Spine computed tomography — the image is 471 mm wide — sagittal view
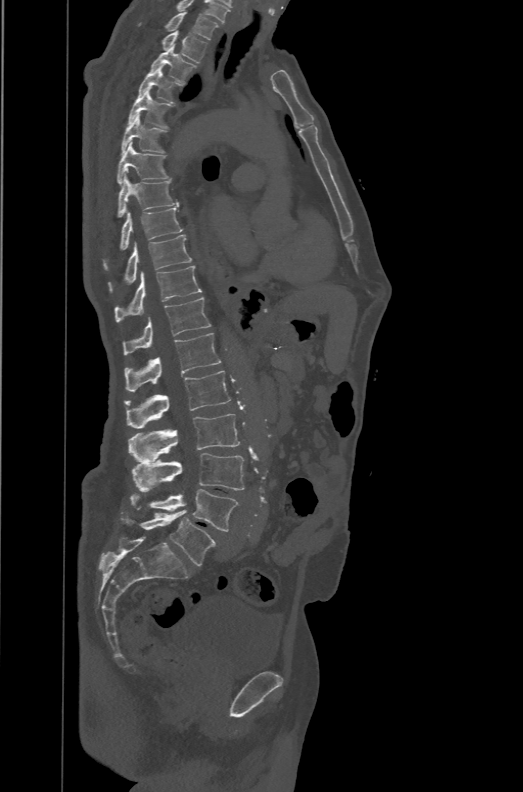

Boxes: x1 y1 x2 y2 (pixel coords, space-separated).
In this scan, the topmost labeled vertebra is T1 and the lowest is L6.
The labels name a sixth lumbar vertebra for this spine: L6, after L5.
Vertebra bounding boxes:
- T1: 138 12 219 40
- T2: 161 30 206 62
- T3: 149 44 196 84
- T4: 137 67 183 104
- T5: 128 90 173 128
- T6: 121 115 168 154
- T7: 117 142 169 184
- T8: 117 174 179 218
- T9: 103 208 183 269
- T10: 108 234 191 292
- T11: 114 265 201 322
- T12: 123 296 212 355
- L1: 125 333 221 391
- L2: 124 371 230 428
- L3: 128 414 240 461
- L4: 131 453 243 490
- L5: 130 489 239 531
- L6: 121 511 216 565